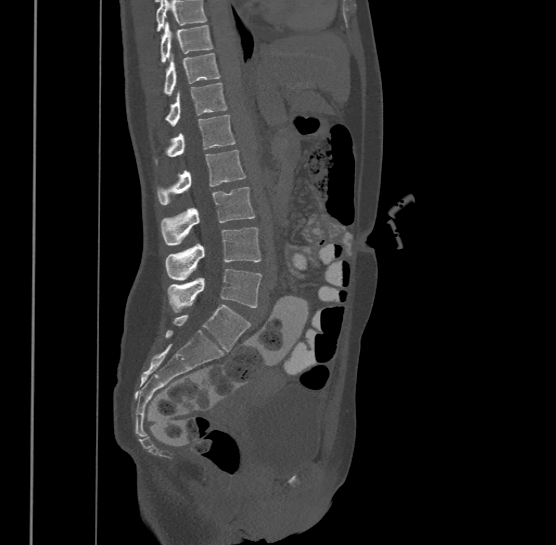

Computed tomography of the spine · sagittal view · 556x545 px
In the table, x1 and y1 are a box's top-left corner and x2 and y2 its bottom-right corner, in pixels.
Where the top of the scan cuts through a vertebra, that vertebra gets no label or box.
In this scan, the topmost labeled vertebra is T9 and the lowest is L4.
| vertebra | x1 | y1 | x2 | y2 |
|---|---|---|---|---|
| T9 | 160 | 22 | 213 | 64 |
| T10 | 164 | 52 | 220 | 93 |
| T11 | 166 | 82 | 227 | 124 |
| T12 | 155 | 114 | 236 | 161 |
| L1 | 157 | 150 | 245 | 203 |
| L2 | 161 | 186 | 255 | 244 |
| L3 | 166 | 227 | 261 | 280 |
| L4 | 168 | 268 | 262 | 312 |